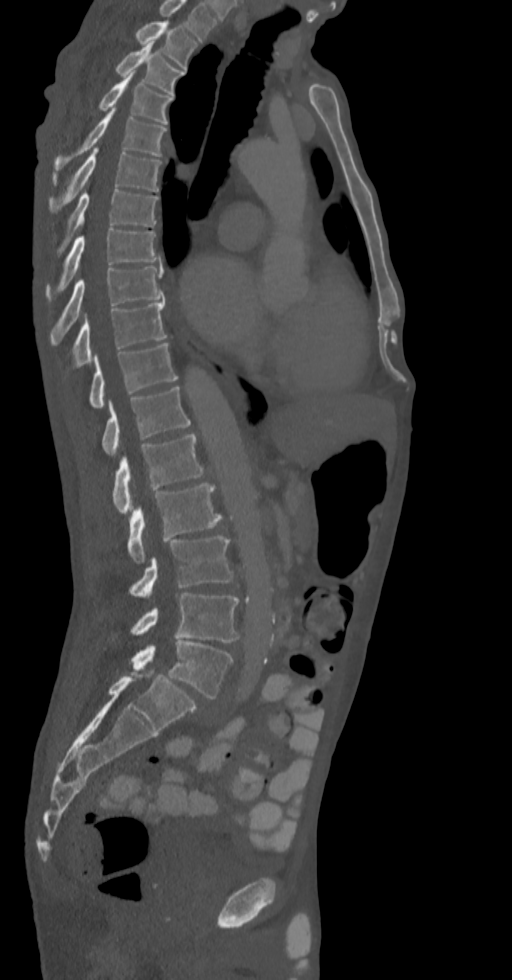

CT; sagittal view
Boxes: x1:y1:x2:y2 in pixels.
The highest labeled vertebra in this scan is T2; the lowest is L5.
Vertebra bounding boxes:
- L5: 130:640:233:698
- L4: 111:593:239:642
- L3: 128:536:233:596
- L2: 128:483:221:563
- L1: 112:434:204:513
- T12: 102:386:191:455
- T11: 88:343:177:409
- T10: 64:299:166:377
- T9: 50:267:163:343
- T8: 45:229:160:299
- T7: 58:187:157:255
- T6: 48:148:160:211
- T5: 55:108:166:173
- T4: 99:72:172:124
- T3: 116:43:183:95
- T2: 135:20:197:69